Spine CT. Sagittal slice 238/512. bone window. the image spans 350 mm across
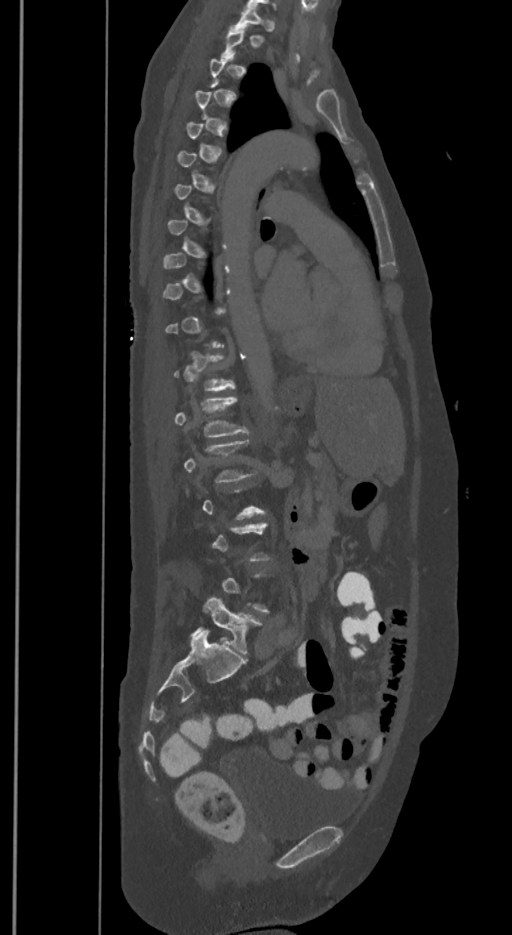
Boxes: x1:y1:x2:y2 in pixels.
A vertebra is boxed only from the first to the last slice where its cross-section is at least a third of its largest; slices outside that range leave it without a box.
In these labels the spine has an L6, a sixth lumbar vertebra below L5.
T1: 230:7:274:29
T12: 174:353:234:391
L1: 174:396:247:436
L2: 184:441:252:482
L6: 190:596:262:655